Spine computed tomography · Sagittal slice 200/350 · 5 vertebrae labeled in this scan
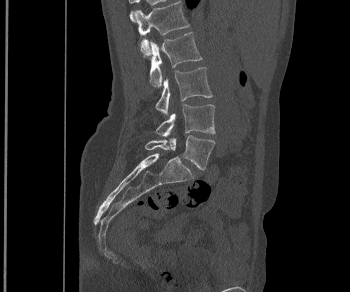 <vertebrae><v name="L1" x1="134" y1="1" x2="189" y2="55"/><v name="L2" x1="149" y1="32" x2="202" y2="87"/><v name="L3" x1="155" y1="67" x2="212" y2="115"/><v name="L4" x1="156" y1="104" x2="215" y2="137"/><v name="L5" x1="145" y1="135" x2="215" y2="169"/></vertebrae>